CT spine — sagittal view — Bone window (WL 400, WW 1800) — 16 vertebrae labeled in this scan
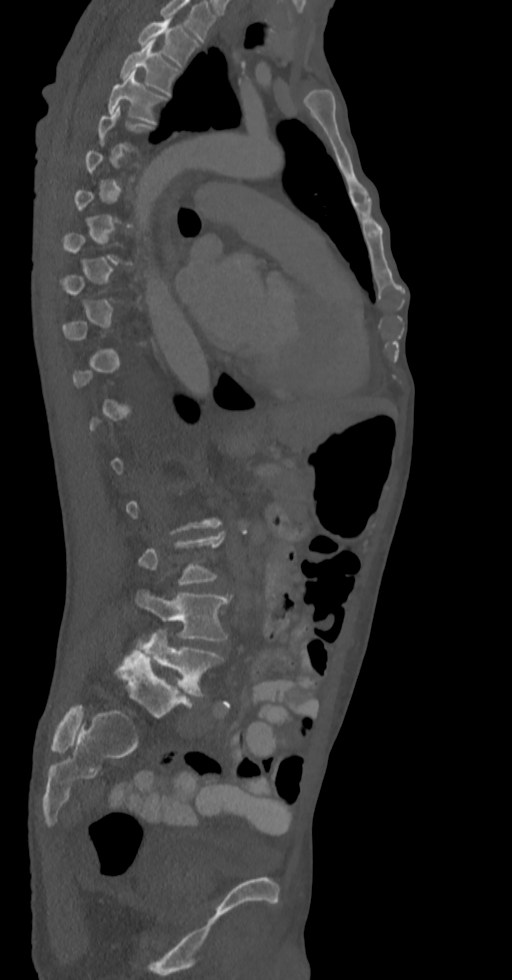

Bounding boxes as [x1, y1, x2, y2] in pixel coordinates. A vertebra is boxed only from the first to the last slice where its cross-section is at least a third of its largest; slices outside that range leave it without a box. Labels in this scan begin with T2 at the top and end with L5 at the bottom. The labeled vertebrae in this slice are: T2 at [137, 18, 198, 66], T3 at [120, 41, 179, 95], T4 at [108, 72, 168, 124], L4 at [135, 590, 232, 641], L5 at [140, 629, 224, 697].